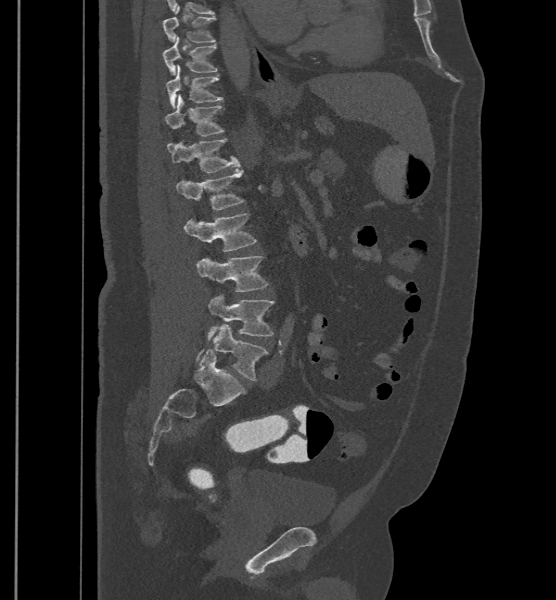
CT spine; sagittal view; Bone window (WL 400, WW 1800)
The labels name a sixth lumbar vertebra for this spine: L6, after L5.
<vertebrae><v name="T9" x1="162" y1="6" x2="216" y2="42"/><v name="T10" x1="162" y1="36" x2="217" y2="75"/><v name="T11" x1="166" y1="64" x2="223" y2="108"/><v name="T12" x1="165" y1="94" x2="224" y2="136"/><v name="L1" x1="167" y1="139" x2="240" y2="172"/><v name="L2" x1="176" y1="170" x2="244" y2="210"/><v name="L3" x1="184" y1="213" x2="257" y2="251"/><v name="L4" x1="196" y1="256" x2="268" y2="291"/><v name="L5" x1="207" y1="294" x2="274" y2="340"/><v name="L6" x1="196" y1="324" x2="268" y2="380"/></vertebrae>